CT, spine — sagittal plane, index 80 — the image spans 207 mm across — W/L 1800/400 HU — 5 vertebrae labeled in this scan
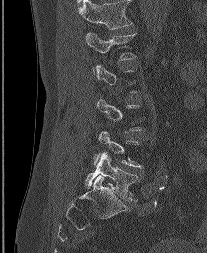

A vertebra gets a box only on the slices from the first to the last where its cross-section is at least a third of its largest; on a slice outside that range it gets none.
This scan's labels start at L1 at the top and end at L5 at the bottom.
<vertebrae><v name="L5" x1="85" y1="153" x2="137" y2="200"/><v name="L1" x1="86" y1="33" x2="135" y2="74"/></vertebrae>